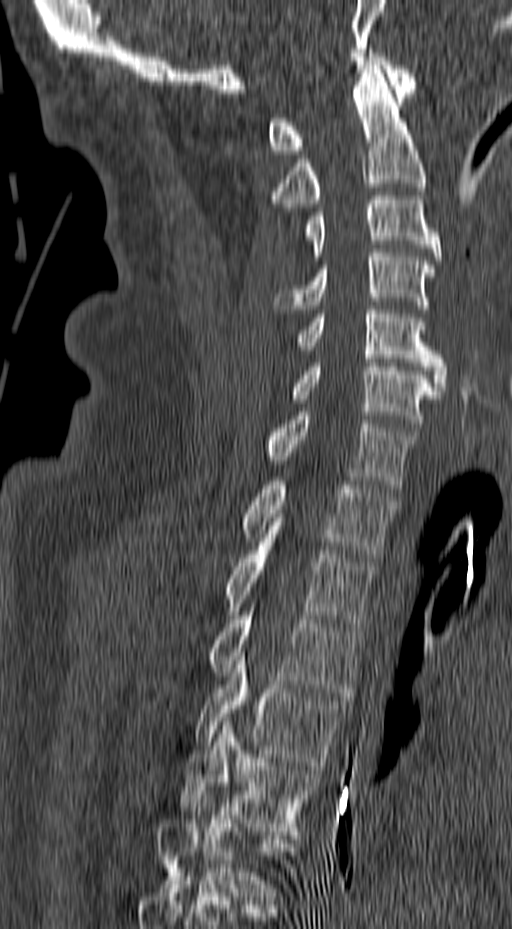 Spine computed tomography. sagittal view. W/L 1800/400 HU. image width 157 mm

Each box is [x1, y1, x2, y2] in pixels: top-left corner, then bottom-right corner.
{"vertebrae":{"T6":[157,799,294,900],"T5":[180,717,320,835],"T4":[195,652,349,769],"T3":[210,607,362,696],"T2":[226,542,375,627],"T1":[242,481,398,557],"C7":[265,412,418,488],"C6":[288,359,441,427],"C5":[297,306,447,390],"C4":[273,249,435,309],"C3":[304,196,440,260],"C2":[269,65,427,207],"C1":[268,53,416,154]}}